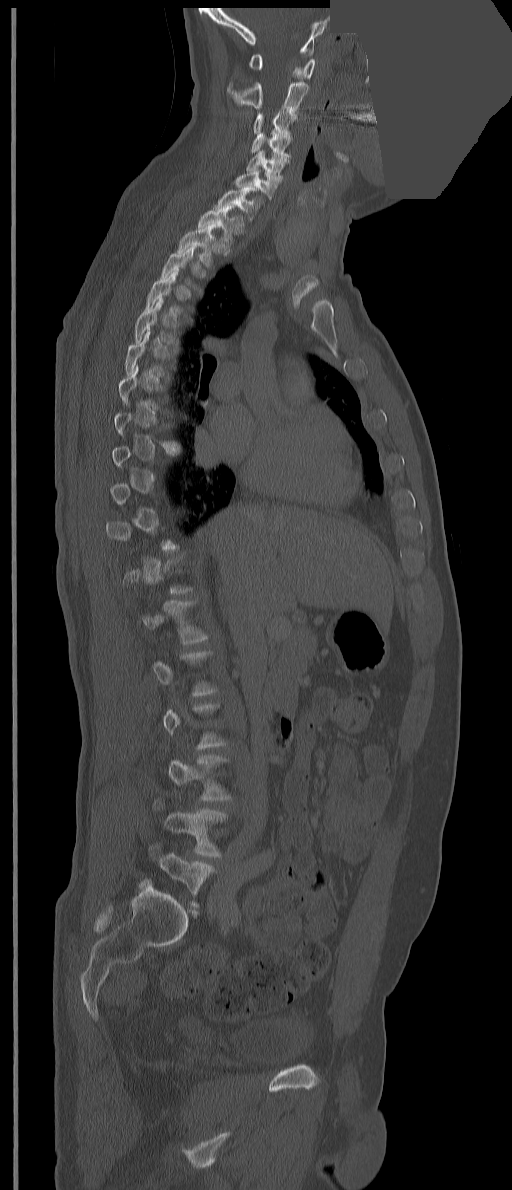

Spine CT; sagittal view; bone window; some of the image was removed or blocked out with constant pixels

Boxes: x1 y1 x2 y2 (pixel coords, space-separated). Each vertebra is boxed only on the slices from the first to the last where its cross-section reaches a third of its largest, so a slice outside that range leaves it unboxed. The labeled vertebrae in this slice are: L5 at 140 846 214 906, L4 at 152 799 227 857, T2 at 177 224 217 268, T1 at 197 205 244 234, C7 at 214 186 265 221, C6 at 235 169 279 198, C5 at 246 150 289 180, C4 at 251 130 290 157, C3 at 253 111 297 137, C2 at 227 82 308 113, C1 at 249 54 314 79.